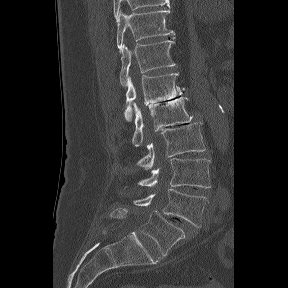
Spine CT · sagittal reformat · 288x288 px. Bounding boxes as [x1, y1, x2, y2] in pixel coordinates. This scan's labels start at T11 at the top and end at L6 at the bottom. In these labels the spine has an L6, a sixth lumbar vertebra below L5. Vertebrae labeled: T11 at [117, 10, 175, 52], T12 at [119, 37, 177, 86], L1 at [124, 73, 184, 120], L2 at [132, 97, 192, 146], L3 at [137, 122, 205, 169], L4 at [137, 158, 211, 188], L5 at [133, 188, 207, 227], L6 at [110, 208, 185, 255].